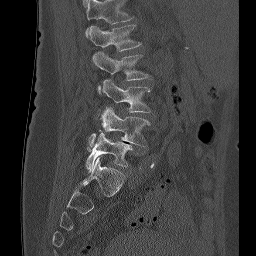 Computed tomography of the spine; sagittal view
The highest labeled vertebra in this scan is L1; the lowest is L5.
<vertebrae><v name="L1" x1="89" y1="24" x2="141" y2="51"/><v name="L2" x1="92" y1="51" x2="150" y2="93"/><v name="L3" x1="102" y1="79" x2="150" y2="112"/><v name="L4" x1="89" y1="107" x2="150" y2="146"/><v name="L5" x1="86" y1="133" x2="132" y2="170"/></vertebrae>